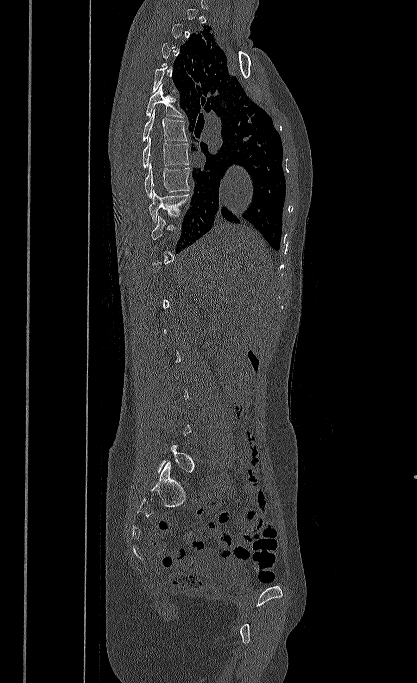
Computed tomography of the spine; sagittal reformat
Each box is [x1, y1, x2, y2] in pixels: top-left corner, then bottom-right corner.
Not every vertebra on this slice has a box: a vertebra is boxed only from the first to the last slice where its cross-section is at least a third of its largest, and this slice is outside that range for at least one of them.
{"vertebrae":{"T5":[146,84,184,117],"T6":[142,109,187,141],"T7":[142,137,188,167],"T8":[145,163,190,198],"T9":[149,190,191,223]}}